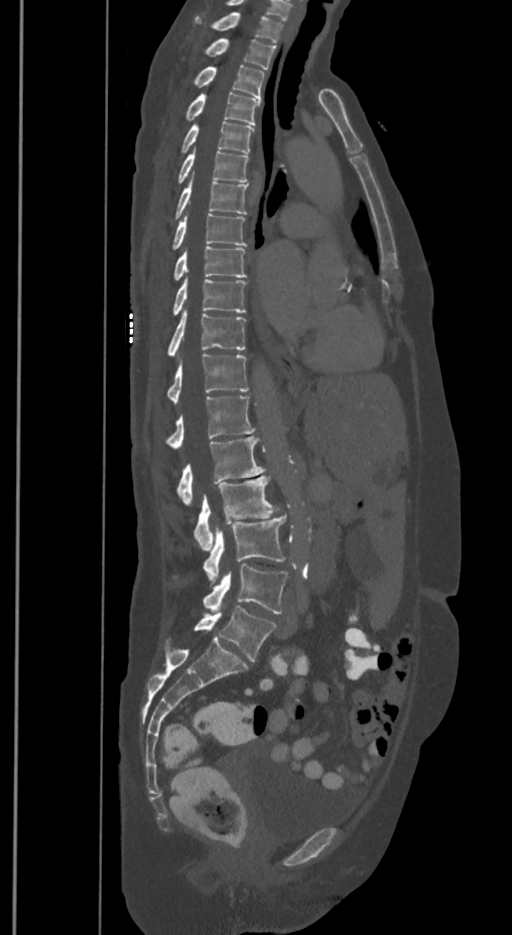
Computed tomography of the spine · sagittal view · Bone window (WL 400, WW 1800)
Coordinates as <box>x1,y1,x2,y2</box>.
In these labels the spine has an L6, a sixth lumbar vertebra below L5.
T1: <box>194,12,281,42</box>
T2: <box>206,38,275,69</box>
T3: <box>194,65,264,98</box>
T4: <box>186,92,259,125</box>
T5: <box>183,121,253,153</box>
T6: <box>178,147,247,182</box>
T7: <box>175,172,246,219</box>
T8: <box>172,213,245,249</box>
T9: <box>174,246,246,279</box>
T10: <box>174,276,245,315</box>
T11: <box>168,309,245,356</box>
T12: <box>168,354,247,403</box>
L1: <box>167,396,253,449</box>
L2: <box>177,436,264,506</box>
L3: <box>194,475,278,551</box>
L4: <box>203,515,285,585</box>
L5: <box>203,563,288,614</box>
L6: <box>194,606,275,661</box>